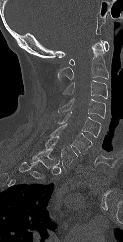

Spine computed tomography; sagittal view; W/L 1800/400 HU; 123x242 px
Box edges are left/top/right/bottom in pixels. Labels in this scan begin with C1 at the top and end with T1 at the bottom. Vertebrae labeled: C1 at left=69, top=40, right=109, bottom=65, C2 at left=57, top=42, right=108, bottom=81, C3 at left=62, top=80, right=107, bottom=98, C4 at left=58, top=98, right=105, bottom=118, C5 at left=57, top=111, right=101, bottom=137, C6 at left=50, top=123, right=92, bottom=153, C7 at left=45, top=136, right=77, bottom=167, T1 at left=31, top=149, right=59, bottom=168.